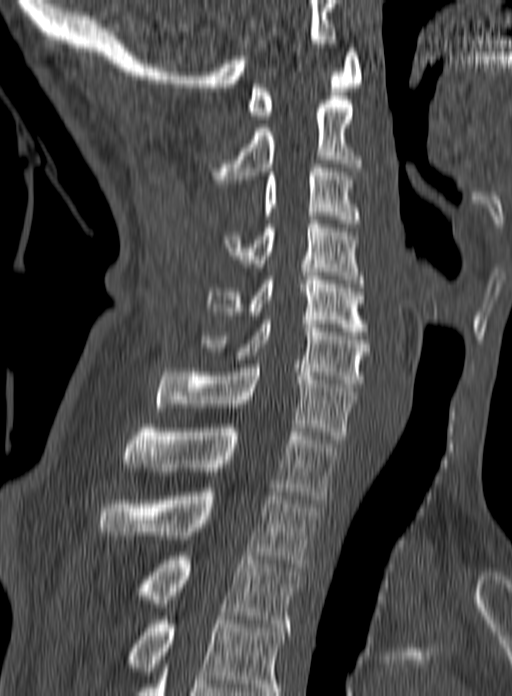
CT, spine · sagittal reformat · 160 mm image width

Each box given as x1,y1,x2,y2.
The highest labeled vertebra in this scan is C1; the lowest is T3.
| vertebra | x1 | y1 | x2 | y2 |
|---|---|---|---|---|
| T3 | 142 | 552 | 301 | 627 |
| T2 | 100 | 492 | 317 | 567 |
| T1 | 124 | 424 | 339 | 499 |
| C7 | 155 | 364 | 356 | 443 |
| C6 | 201 | 320 | 370 | 387 |
| C5 | 206 | 276 | 368 | 335 |
| C4 | 223 | 220 | 365 | 287 |
| C3 | 261 | 164 | 359 | 223 |
| C2 | 206 | 100 | 362 | 183 |
| C1 | 247 | 48 | 363 | 119 |